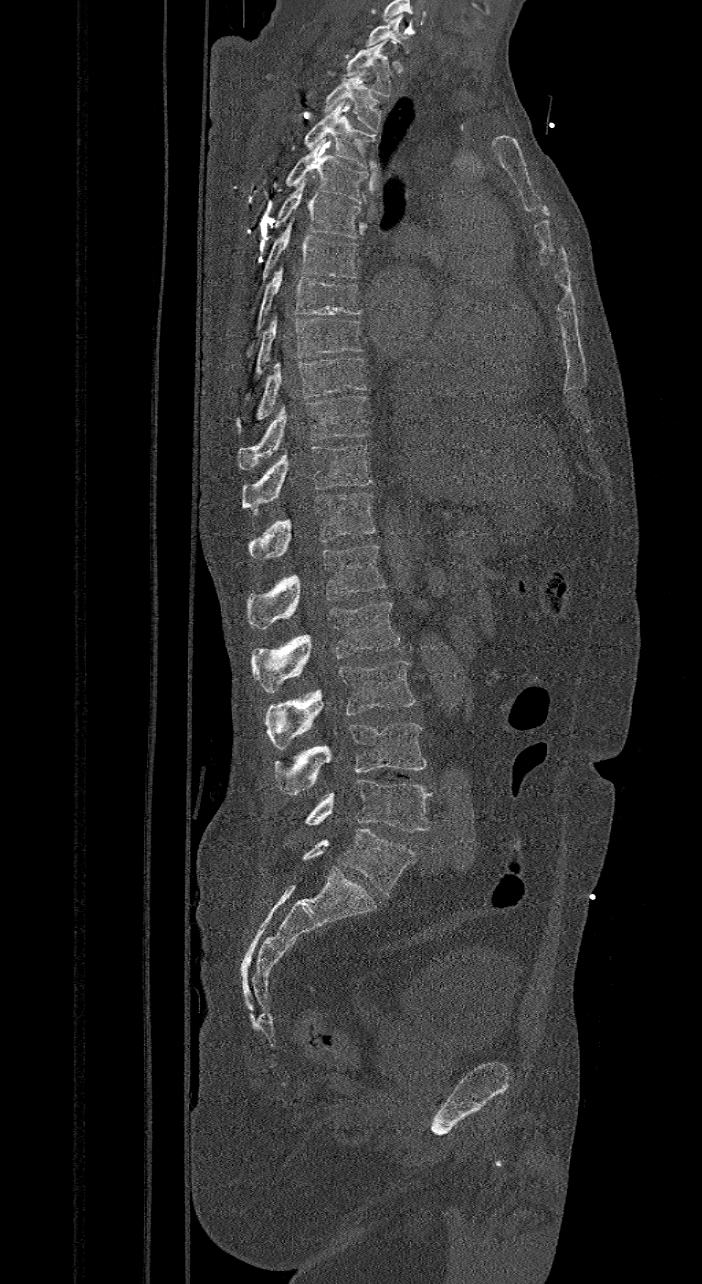 CT spine — sagittal view
Bounding boxes as [x1, y1, x2, y2] in pixel coordinates.
In these labels the spine has an L6, a sixth lumbar vertebra below L5.
Vertebra bounding boxes:
- C7: [365, 14, 407, 50]
- T1: [343, 39, 394, 96]
- T2: [323, 69, 383, 131]
- T3: [304, 100, 376, 169]
- T4: [286, 138, 369, 203]
- T5: [273, 179, 361, 238]
- T6: [249, 222, 359, 299]
- T7: [245, 265, 362, 357]
- T8: [243, 313, 362, 404]
- T9: [234, 357, 366, 433]
- T10: [238, 395, 369, 469]
- T11: [241, 444, 372, 511]
- T12: [248, 492, 376, 560]
- L1: [247, 545, 385, 629]
- L2: [252, 602, 401, 693]
- L3: [264, 661, 416, 750]
- L4: [273, 723, 427, 795]
- L5: [304, 779, 432, 832]
- L6: [301, 829, 416, 895]